Spine CT; sagittal view; Bone window (WL 400, WW 1800)
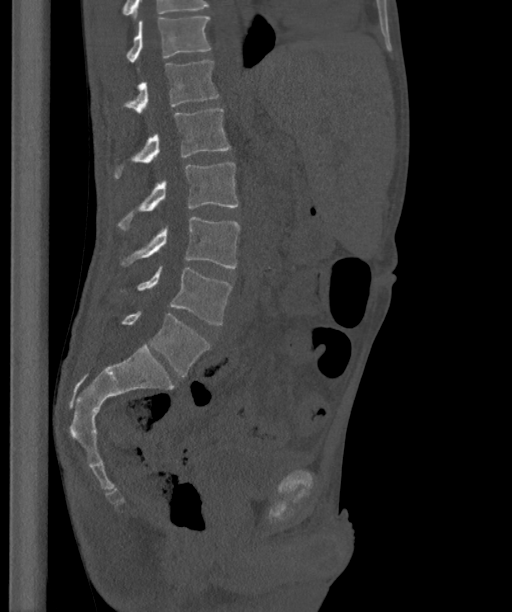
Box edges are left/top/right/bottom in pixels. Labels in this scan begin with T12 at the top and end with L6 at the bottom. These labels give the spine a sixth lumbar vertebra, L6, below L5. 7 vertebrae labeled — T12 at left=125, top=17, right=210, bottom=62; L1 at left=123, top=61, right=219, bottom=113; L2 at left=113, top=108, right=230, bottom=178; L3 at left=117, top=162, right=237, bottom=230; L4 at left=120, top=217, right=240, bottom=268; L5 at left=118, top=267, right=232, bottom=324; L6 at left=121, top=311, right=209, bottom=377.